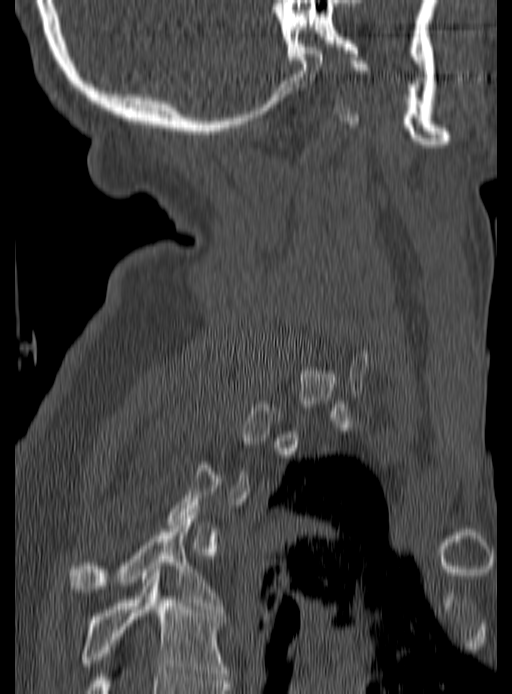

CT spine · sagittal view
Each vertebra maps to its box as [x1, y1, x2, y2], the pixel coordinates of its top-left and bottom-right corners.
Not every vertebra on this slice has a box: a vertebra is boxed only from the first to the last slice where its cross-section is at least a third of its largest, and this slice is outside that range for at least one of them.
{"vertebrae":{"T4":[71,512,221,609],"T5":[82,573,226,683]}}